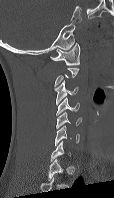

Computed tomography of the spine — sagittal reformat — 114x198 px
Boxes: x1:y1:x2:y2 in pixels. A vertebra gets a box only on the slices from the first to the last where its cross-section is at least a third of its largest; on a slice outside that range it gets none. 5 vertebrae labeled — C6 at 54:125:79:145; C5 at 56:112:81:129; C4 at 56:97:79:115; C3 at 55:80:78:105; C1 at 50:43:80:65.